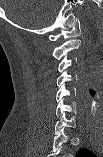

CT; image width 103 mm; sagittal view
Bounding boxes as [x1, y1, x2, y2] in pixel coordinates.
This scan's labels start at C1 at the top and end at C7 at the bottom.
C1: [49, 18, 80, 40]
C2: [52, 39, 80, 59]
C3: [58, 55, 76, 72]
C4: [56, 70, 76, 86]
C5: [56, 83, 75, 102]
C6: [56, 98, 76, 117]
C7: [55, 112, 75, 134]